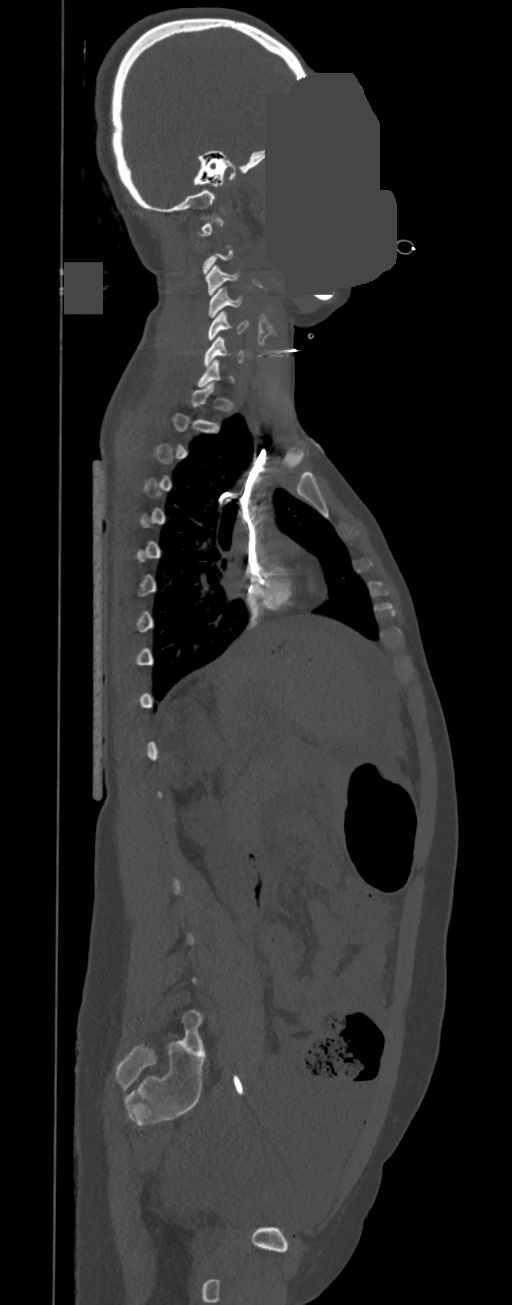

CT; sagittal view; an area of the scan was removed and filled with constant pixels. Box edges are left/top/right/bottom in pixels.
Not every vertebra on this slice has a box: a vertebra is boxed only from the first to the last slice where its cross-section is at least a third of its largest, and this slice is outside that range for at least one of them.
Vertebra bounding boxes:
- C3: left=205, top=265, right=240, bottom=295
- C4: left=207, top=288, right=242, bottom=316
- C5: left=208, top=311, right=249, bottom=340
- C6: left=204, top=336, right=243, bottom=366